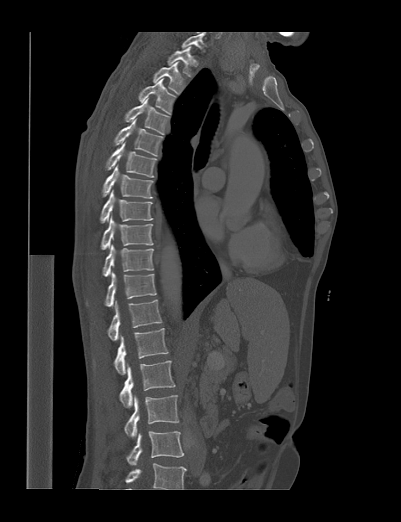
CT, spine; sagittal view; image 401 mm wide
Each box given as x1,y1,x2,y2.
The highest labeled vertebra in this scan is T1; the lowest is L4.
Vertebra bounding boxes:
- T1: x1=167, y1=47, x2=191, y2=77
- T2: x1=153, y1=61, x2=180, y2=94
- T3: x1=138, y1=77, x2=175, y2=114
- T4: x1=124, y1=97, x2=169, y2=134
- T5: x1=113, y1=118, x2=163, y2=157
- T6: x1=105, y1=142, x2=156, y2=177
- T7: x1=102, y1=165, x2=153, y2=198
- T8: x1=100, y1=190, x2=152, y2=223
- T9: x1=101, y1=216, x2=153, y2=249
- T10: x1=102, y1=244, x2=154, y2=276
- T11: x1=104, y1=272, x2=156, y2=306
- T12: x1=106, y1=299, x2=162, y2=340
- L1: x1=114, y1=328, x2=168, y2=374
- L2: x1=119, y1=360, x2=175, y2=407
- L3: x1=124, y1=395, x2=178, y2=438
- L4: x1=126, y1=431, x2=184, y2=465